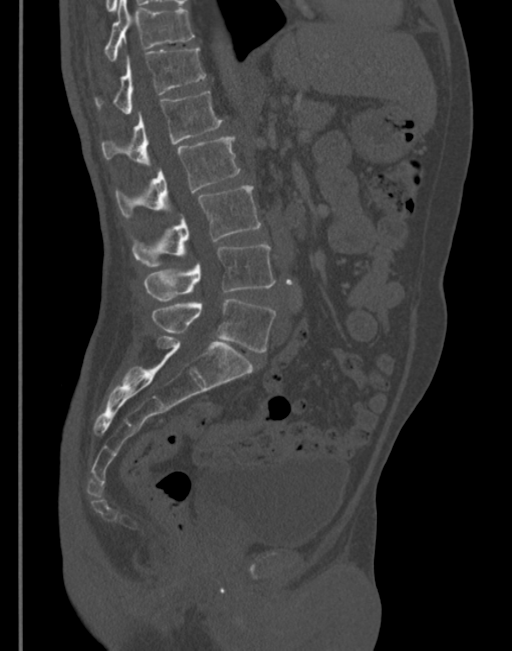
CT — sagittal view — 345 mm across the image — bone-window reconstruction
Each vertebra maps to its box as [x1, y1, x2, y2], the pixel coordinates of its top-left and bottom-right corners.
{"vertebrae":{"L5":[153,299,276,352],"L4":[144,245,275,301],"L3":[132,186,260,267],"L2":[116,135,239,216],"L1":[101,91,223,166],"T12":[95,49,205,114],"T11":[105,0,193,61]}}